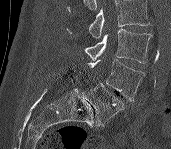 Spine computed tomography · sagittal view · image 171 mm wide

In the table, x1 and y1 are a box's top-left corner and x2 and y2 its bottom-right corner, in pixels.
A vertebra cut off by the top edge of the scan is not labeled and has no box.
| vertebra | x1 | y1 | x2 | y2 |
|---|---|---|---|---|
| L3 | 65 | 29 | 152 | 63 |
| L4 | 87 | 59 | 145 | 101 |
| L5 | 84 | 83 | 123 | 126 |